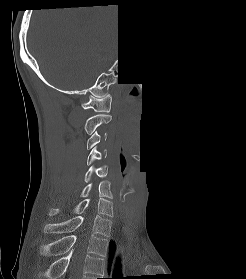

Computed tomography of the spine; sagittal view; Bone window (WL 400, WW 1800); 246x279 px; a portion of the image is blanked out (constant pixel value)
Each box given as x1,y1,x2,y2.
In this scan, the topmost labeled vertebra is C1 and the lowest is T2.
Vertebra bounding boxes:
- C1: x1=81, y1=94, x2=112, y2=112
- C2: x1=84, y1=114, x2=111, y2=134
- C3: x1=87, y1=130, x2=107, y2=149
- C4: x1=87, y1=146, x2=106, y2=165
- C5: x1=84, y1=165, x2=107, y2=182
- C6: x1=80, y1=180, x2=112, y2=198
- C7: x1=49, y1=198, x2=113, y2=216
- T1: x1=44, y1=215, x2=112, y2=236
- T2: x1=40, y1=234, x2=108, y2=256